Computed tomography of the spine; image 444 mm wide; sagittal plane, index 224
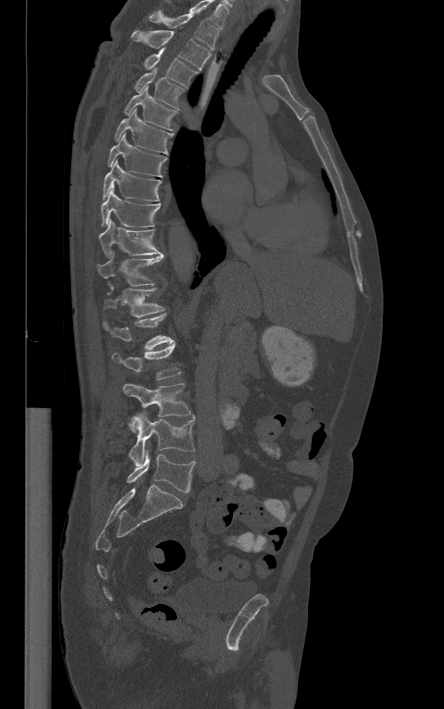

Each box is [x1, y1, x2, y2] in pixels: top-left corner, then bottom-right corner.
This scan's labels start at T1 at the top and end at L5 at the bottom.
{"vertebrae":{"T1":[149,10,218,50],"T2":[132,30,210,69],"T3":[144,48,196,86],"T4":[135,67,184,110],"T5":[123,86,176,130],"T6":[115,109,173,153],"T7":[108,132,166,176],"T8":[102,160,160,200],"T9":[100,190,160,227],"T10":[98,220,163,258],"T11":[97,251,163,286],"T12":[104,284,163,317],"L1":[103,314,174,350],"L2":[112,343,180,379],"L3":[123,383,190,433],"L4":[129,412,194,465],"L5":[127,450,195,492]}}